CT. sagittal plane, index 47. 154x295 px
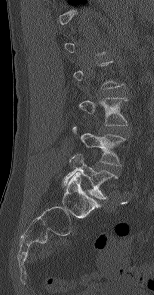 Boxes are (x1, y1, x2, y2) in pixels.
Each vertebra is boxed only on the slices from the first to the last where its cross-section reaches a third of its largest, so a slice outside that range leaves it unboxed.
L3: (79, 97, 129, 125)
L4: (73, 126, 125, 165)
L5: (62, 152, 117, 199)